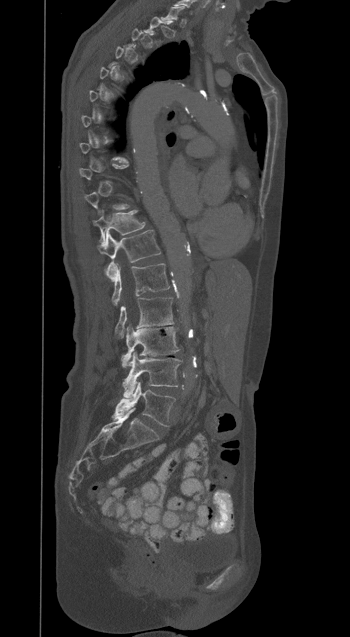
Spine computed tomography; sagittal view; 350x637 px
Boxes below are [x1, y1, x2, y2] in pixels.
A vertebra is boxed only from the first to the last slice where its cross-section is at least a third of its largest; slices outside that range leave it without a box.
{"vertebrae":{"L5":[113,382,175,426],"L4":[123,352,181,397],"L3":[121,324,178,368],"L2":[115,297,173,338],"L1":[112,263,169,305],"T12":[98,230,160,280],"T11":[93,210,144,245]}}